CT spine; sagittal view; Bone window (WL 400, WW 1800)
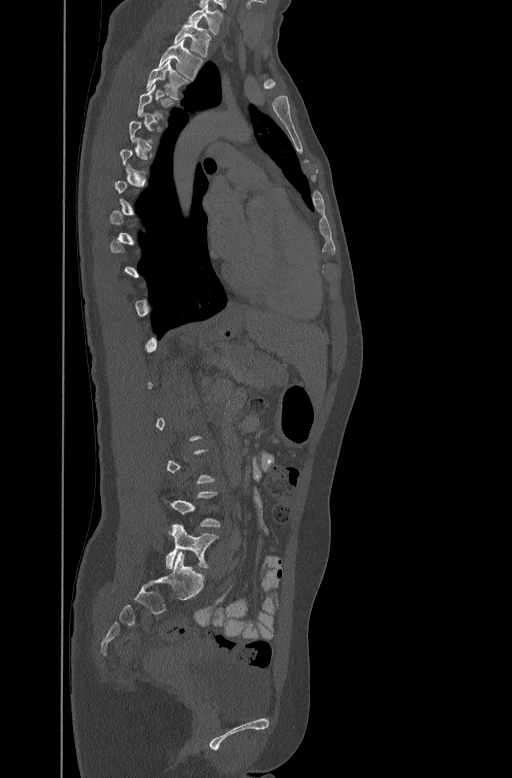
Boxes are given in columns x1, y1, x2, y2, the pixel coordinates of their top-left and bottom-right corners.
A vertebra is boxed only from the first to the last slice where its cross-section is at least a third of its largest; slices outside that range leave it without a box.
| vertebra | x1 | y1 | x2 | y2 |
|---|---|---|---|---|
| C7 | 188 | 5 | 222 | 34 |
| T1 | 174 | 23 | 212 | 55 |
| T2 | 159 | 39 | 203 | 77 |
| T3 | 147 | 60 | 188 | 97 |
| L5 | 166 | 524 | 218 | 568 |